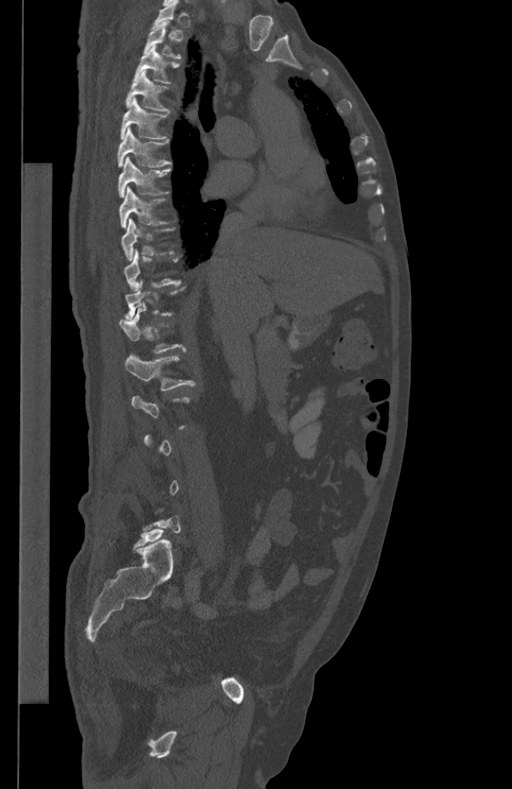

Spine computed tomography. sagittal reformat. image 434 mm wide. Boxes: x1:y1:x2:y2 in pixels.
A vertebra is boxed only from the first to the last slice where its cross-section is at least a third of its largest; slices outside that range leave it without a box.
T2: 144:22:181:58
T3: 133:45:179:83
T4: 125:70:169:110
T5: 120:98:171:139
T6: 117:128:171:166
T7: 118:156:170:196
T8: 119:187:166:227
T9: 121:218:174:259
L1: 125:356:195:391